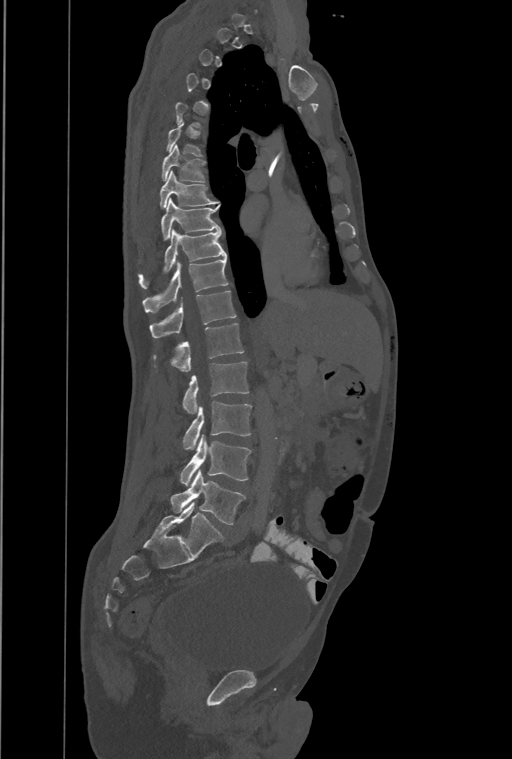 Spine computed tomography · sagittal reformat · bone-window reconstruction
A vertebra is boxed only from the first to the last slice where its cross-section is at least a third of its largest; slices outside that range leave it without a box.
This scan's labels start at T1 at the top and end at L4 at the bottom.
In these labels the spine has a T13, a thirteenth thoracic vertebra, between T12 and L1.
<vertebrae><v name="T7" x1="162" y1="145" x2="205" y2="181"/><v name="T8" x1="160" y1="170" x2="218" y2="208"/><v name="T9" x1="161" y1="198" x2="219" y2="240"/><v name="T10" x1="138" y1="230" x2="226" y2="288"/><v name="T11" x1="143" y1="257" x2="227" y2="311"/><v name="T12" x1="150" y1="290" x2="236" y2="337"/><v name="T13" x1="154" y1="324" x2="244" y2="371"/><v name="L1" x1="183" y1="361" x2="248" y2="414"/><v name="L2" x1="183" y1="401" x2="251" y2="449"/><v name="L3" x1="181" y1="435" x2="251" y2="485"/><v name="L4" x1="171" y1="470" x2="245" y2="524"/></vertebrae>